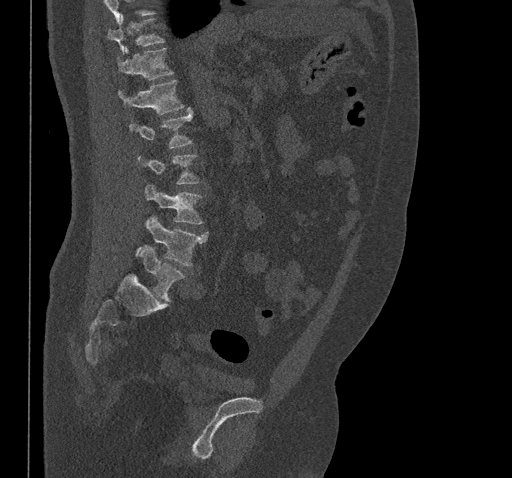
CT, spine; sagittal reformat
No box is given to a vertebra that the top edge of the scan cuts off.
<vertebrae><v name="L5" x1="139" y1="245" x2="184" y2="301"/><v name="L4" x1="146" y1="216" x2="208" y2="265"/><v name="L3" x1="145" y1="185" x2="203" y2="224"/><v name="L2" x1="138" y1="155" x2="199" y2="184"/><v name="L1" x1="130" y1="108" x2="193" y2="148"/><v name="T12" x1="118" y1="80" x2="184" y2="114"/><v name="T11" x1="117" y1="47" x2="173" y2="79"/><v name="T10" x1="108" y1="18" x2="164" y2="54"/></vertebrae>